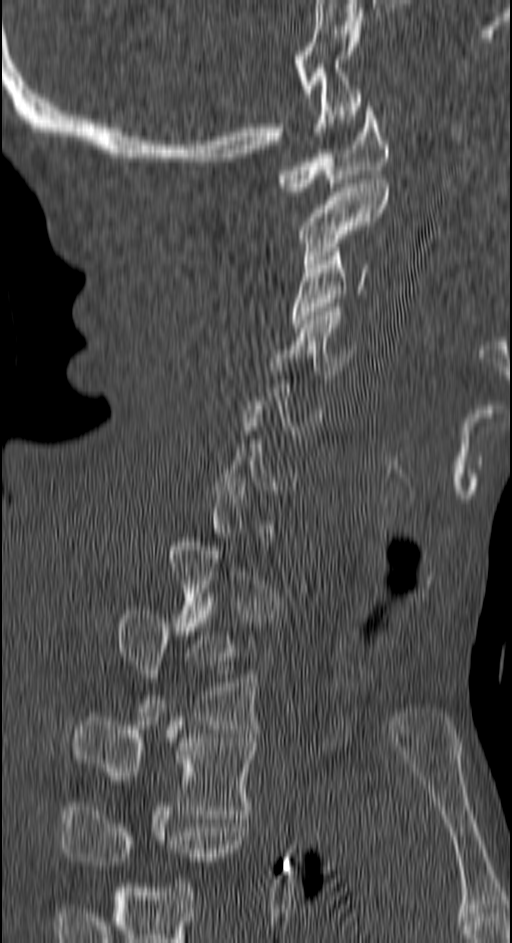

Spine computed tomography; sagittal view; bone window

Boxes below are [x1, y1, x2, y2] in pixels.
Each vertebra is boxed only on the slices from the first to the last where its cross-section reaches a third of its largest, so a slice outside that range leaves it unboxed.
This scan's labels start at C1 at the top and end at T4 at the bottom.
{"vertebrae":{"C1":[274,102,389,195],"C2":[298,179,389,268],"C3":[291,247,373,328],"C4":[275,307,355,383],"T2":[117,610,260,729],"T3":[73,717,256,814],"T4":[63,811,249,865]}}